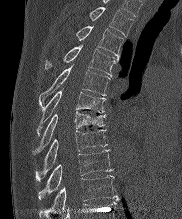
CT spine; image 182 mm wide; sagittal reformat; Bone window (WL 400, WW 1800)

Boxes are (x1, y1, x2, y2) in pixels.
Vertebra bounding boxes:
- T10: (39, 175, 115, 218)
- T9: (38, 149, 112, 199)
- T8: (36, 130, 107, 179)
- T7: (35, 111, 105, 152)
- T6: (37, 90, 105, 135)
- T5: (39, 66, 110, 106)
- T4: (46, 45, 118, 76)
- T3: (76, 26, 123, 56)
- T2: (89, 7, 133, 36)